CT, spine · image 162 mm wide · sagittal plane, index 104 · scan covers 6 annotated vertebrae
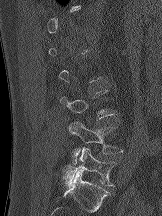 Boxes below are [x1, y1, x2, y2] in pixels.
Not every vertebra on this slice has a box: a vertebra is boxed only from the first to the last slice where its cross-section is at least a third of its largest, and this slice is outside that range for at least one of them.
{"vertebrae":{"L4":[69,122,123,165],"L5":[62,147,116,186]}}